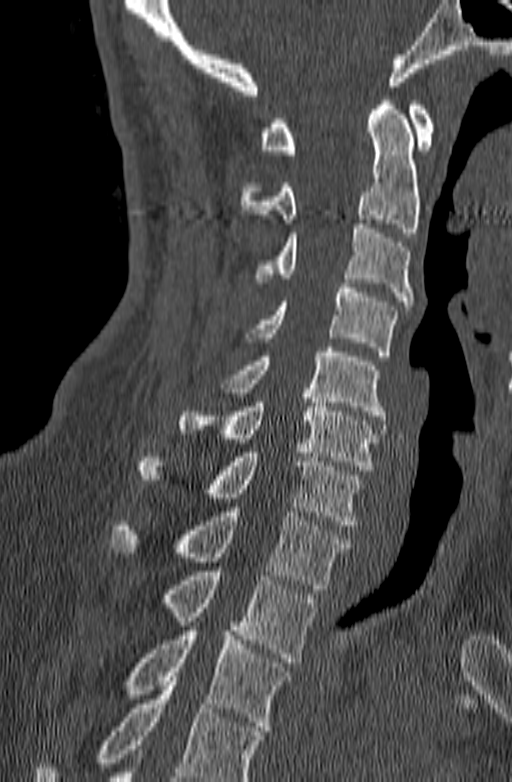

CT spine — sagittal view
Each box given as x1,y1,x2,y2.
No box is given to a vertebra that the bottom edge of the scan cuts off.
T3: x1=123, y1=626, x2=289, y2=730
T2: x1=165, y1=571, x2=317, y2=662
T1: x1=108, y1=507, x2=351, y2=589
C7: x1=137, y1=448, x2=362, y2=529
C6: x1=178, y1=393, x2=377, y2=470
C5: x1=221, y1=347, x2=386, y2=420
C4: x1=246, y1=283, x2=397, y2=356
C3: x1=257, y1=224, x2=413, y2=305
C2: x1=241, y1=96, x2=420, y2=237
C1: x1=261, y1=101, x2=434, y2=154